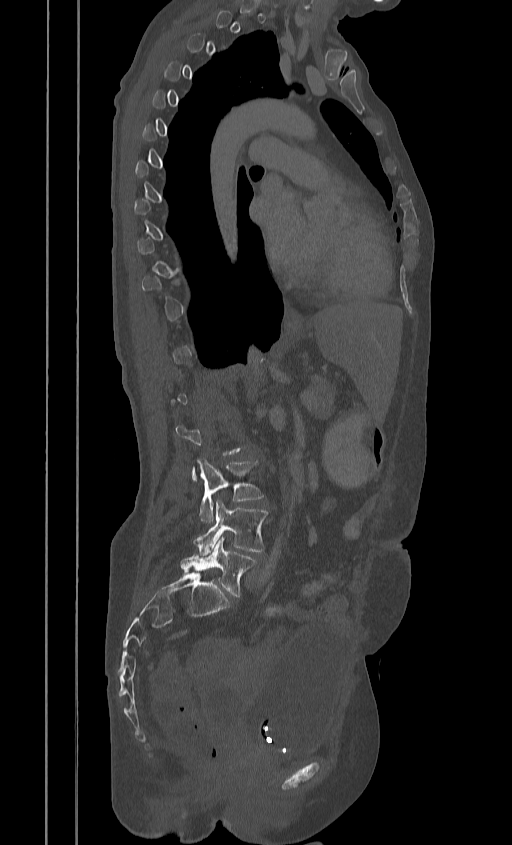 Computed tomography of the spine · image width 384 mm · sagittal reformat · Bone window (WL 400, WW 1800)
A vertebra gets a box only on the slices from the first to the last where its cross-section is at least a third of its largest; on a slice outside that range it gets none.
<vertebrae><v name="L3" x1="196" y1="459" x2="263" y2="522"/><v name="L4" x1="194" y1="500" x2="268" y2="555"/><v name="L5" x1="181" y1="536" x2="256" y2="596"/></vertebrae>